Spine computed tomography; sagittal view; W/L 1800/400 HU
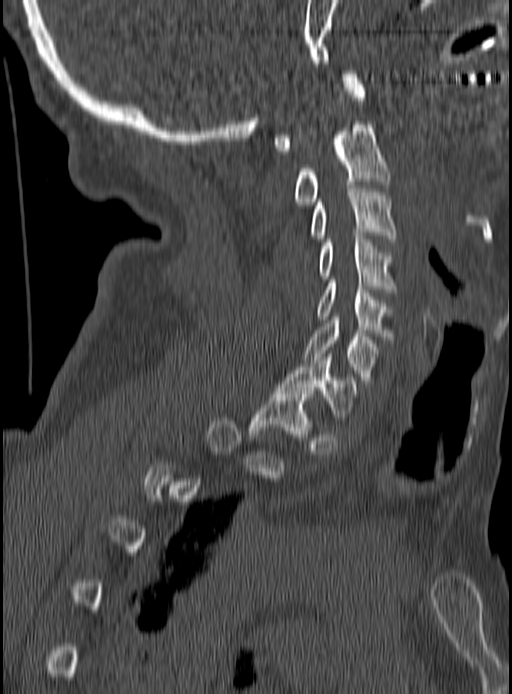

Each box given as x1,y1,x2,y2.
Not every vertebra on this slice has a box: a vertebra is boxed only from the first to the last slice where its cross-section is at least a third of its largest, and this slice is outside that range for at least one of them.
| vertebra | x1 | y1 | x2 | y2 |
|---|---|---|---|---|
| C1 | 272 | 71 | 365 | 151 |
| C2 | 295 | 121 | 391 | 204 |
| C3 | 311 | 189 | 396 | 242 |
| C4 | 319 | 232 | 396 | 292 |
| C5 | 316 | 280 | 391 | 339 |
| C6 | 303 | 317 | 377 | 383 |
| C7 | 278 | 354 | 359 | 417 |
| T1 | 249 | 391 | 312 | 440 |